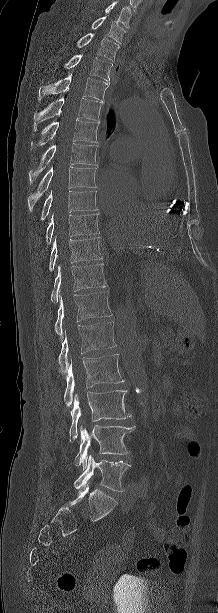 CT; sagittal reformat. Bounding boxes as [x1, y1, x2, y2] in pixel coordinates.
The highest labeled vertebra in this scan is C7; the lowest is L5.
Vertebra bounding boxes:
- C7: [91, 17, 126, 42]
- T1: [76, 32, 119, 60]
- T2: [64, 54, 112, 81]
- T3: [38, 74, 109, 101]
- T4: [34, 97, 104, 130]
- T5: [29, 119, 99, 150]
- T6: [29, 143, 98, 184]
- T7: [28, 166, 96, 212]
- T8: [40, 190, 97, 220]
- T9: [46, 214, 99, 244]
- T10: [49, 237, 102, 271]
- T11: [51, 263, 105, 302]
- T12: [55, 291, 111, 336]
- L1: [58, 322, 116, 372]
- L2: [64, 354, 124, 407]
- L3: [69, 390, 131, 441]
- L4: [75, 424, 135, 470]
- L5: [74, 455, 130, 491]